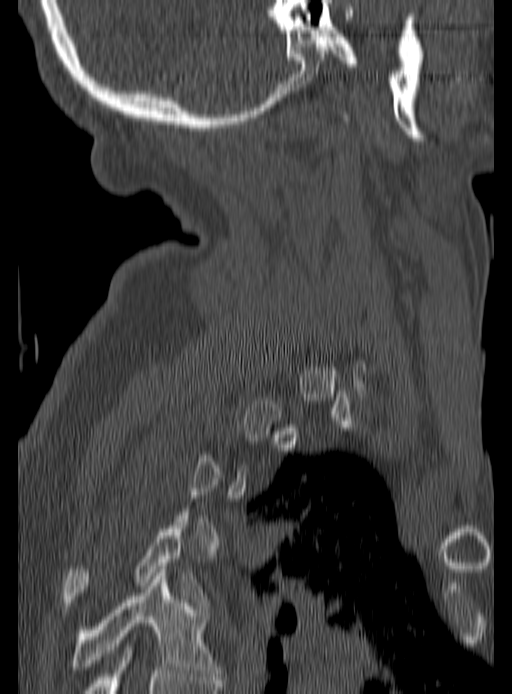

Spine CT. sagittal view. bone window

Boxes are given in columns x1, y1, x2, y2, the pixel coordinates of their top-left and bottom-right corners.
Each vertebra is boxed only on the slices from the first to the last where its cross-section reaches a third of its largest, so a slice outside that range leaves it unboxed.
| vertebra | x1 | y1 | x2 | y2 |
|---|---|---|---|---|
| T4 | 63 | 522 | 207 | 605 |
| T5 | 71 | 569 | 221 | 679 |